CT, spine · sagittal plane, index 242 · bone window · 512x747 px · 12 vertebrae labeled in this scan · 180 mm wide
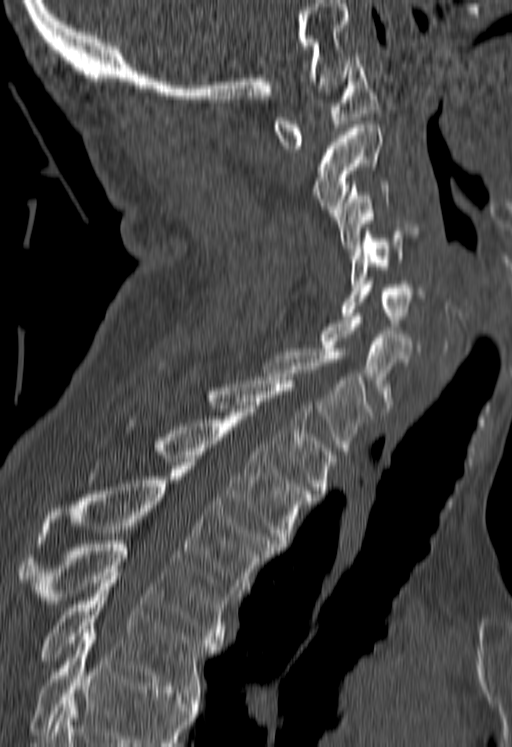

Boxes are (x1, y1, x2, y2) in pixels.
Vertebrae that run past the bottom of the scan are left unlabeled.
Vertebra bounding boxes:
- C1: (273, 57, 378, 148)
- C2: (312, 124, 381, 212)
- C3: (337, 181, 387, 251)
- C4: (351, 220, 418, 283)
- C5: (341, 277, 425, 323)
- C6: (322, 313, 411, 411)
- C7: (265, 348, 370, 454)
- T1: (209, 380, 336, 497)
- T2: (157, 412, 313, 547)
- T3: (39, 466, 276, 596)
- T4: (18, 540, 233, 643)
- T5: (38, 580, 219, 699)